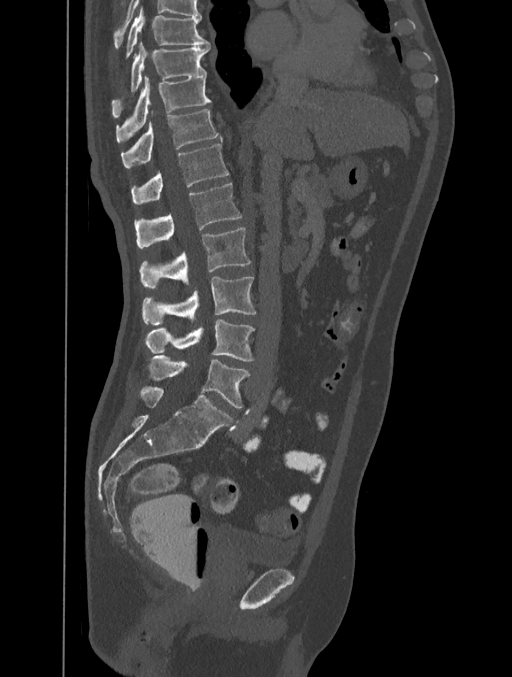 Computed tomography of the spine · sagittal view · image 401 mm wide · Bone window (WL 400, WW 1800) · 512x677 px

Box values are [left, top, right, bottom] in pixels.
{"vertebrae":{"T8":[125,7,211,58],"T9":[112,41,210,110],"T10":[116,75,211,143],"T11":[121,109,222,168],"T12":[131,144,229,204],"L1":[134,183,241,248],"L2":[139,228,250,287],"L3":[142,276,255,324],"L4":[144,319,254,361],"L5":[147,355,249,408]}}